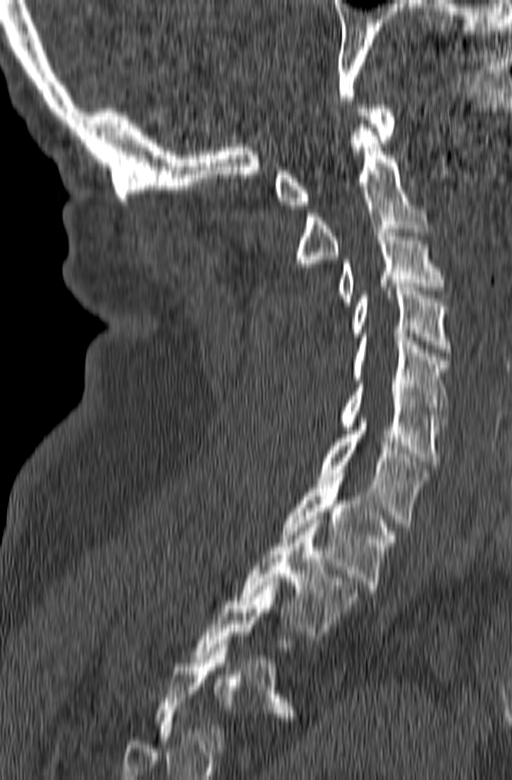 Computed tomography of the spine · sagittal view · W/L 1800/400 HU · 512x780 px · 165 mm across the image
Bounding boxes as [x1, y1, x2, y2] in pixel coordinates. A vertebra gets a box only on the slices from the first to the last where its cross-section is at least a third of its largest; on a slice outside that range it gets none. The labeled vertebrae in this slice are: C1 at [274, 105, 396, 208], C2 at [296, 124, 428, 271], C3 at [336, 229, 444, 305], C4 at [352, 287, 450, 352], C5 at [352, 337, 450, 418], C6 at [339, 380, 447, 464], C7 at [318, 419, 428, 527], T1 at [281, 477, 394, 592], T2 at [238, 520, 359, 635].